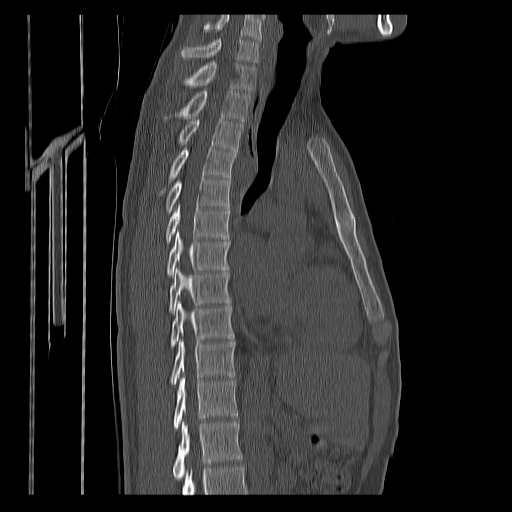 CT, spine · sagittal view · bone window · 512x512 px

Boxes: x1:y1:x2:y2 in pixels.
No box is given to a vertebra that the bottom edge of the scan cuts off.
In this scan, the topmost labeled vertebra is C7 and the lowest is T12.
C7: 181:39:258:62
T1: 183:62:255:91
T2: 164:90:250:121
T3: 179:119:242:151
T4: 160:147:236:194
T5: 167:178:230:213
T6: 165:204:230:244
T7: 167:231:230:276
T8: 169:268:230:313
T9: 170:301:233:347
T10: 170:339:235:386
T11: 173:376:237:431
T12: 173:421:242:479